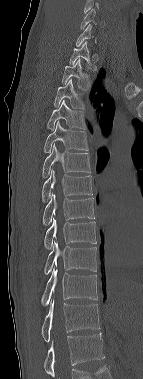
CT. sagittal view. W/L 1800/400 HU. 143x379 px
Boxes are (x1, y1, x2, y2) in pixels.
A vertebra is boxed only from the first to the last slice where its cross-section is at least a third of its largest; slices outside that range leave it without a box.
In this scan, the topmost labeled vertebra is C6 and the lowest is T12.
Vertebra bounding boxes:
- C6: (80, 8, 105, 30)
- T1: (69, 41, 96, 70)
- T2: (61, 58, 90, 90)
- T3: (54, 79, 85, 108)
- T4: (47, 100, 86, 130)
- T5: (44, 121, 88, 152)
- T6: (42, 143, 90, 178)
- T7: (42, 169, 92, 201)
- T8: (42, 193, 95, 225)
- T9: (44, 218, 96, 249)
- T10: (44, 241, 96, 275)
- T11: (41, 266, 97, 306)
- T12: (41, 299, 100, 342)